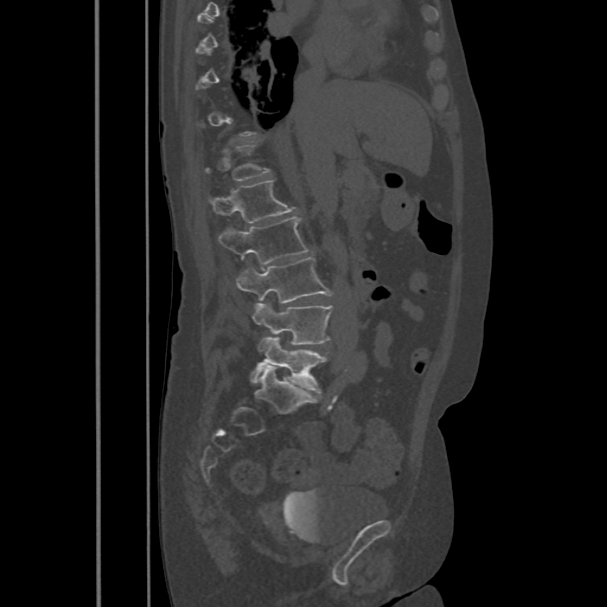

Computed tomography of the spine · sagittal reformat · W/L 1800/400 HU. Boxes: x1:y1:x2:y2 in pixels.
A vertebra gets a box only on the slices from the first to the last where its cross-section is at least a third of its largest; on a slice outside that range it gets none.
L1: 209:180:297:222
L2: 218:217:309:265
L3: 236:257:332:302
L4: 253:303:332:344
L5: 251:337:326:392